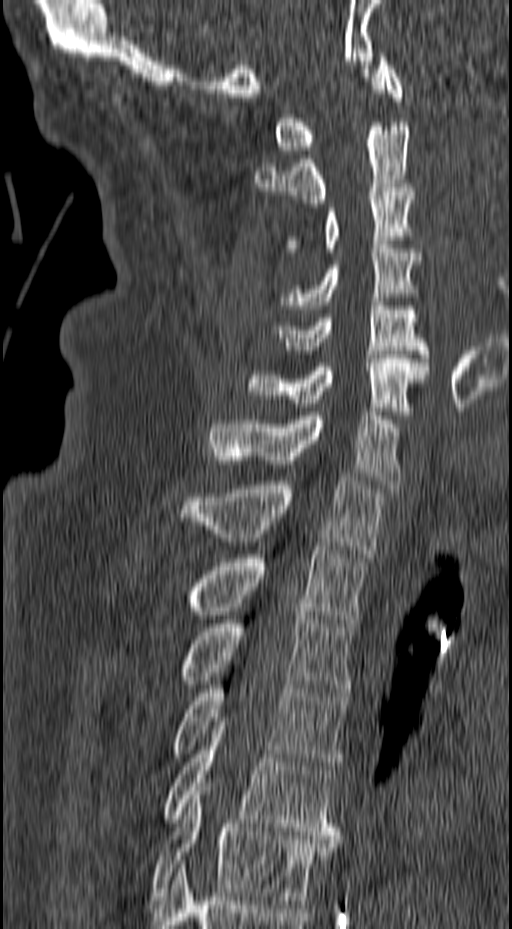 Spine CT; sagittal view; bone window
<vertebrae><v name="C1" x1="275" y1="53" x2="403" y2="154"/><v name="C2" x1="254" y1="122" x2="410" y2="203"/><v name="C3" x1="283" y1="188" x2="422" y2="252"/><v name="C4" x1="278" y1="241" x2="421" y2="309"/><v name="C5" x1="270" y1="302" x2="429" y2="358"/><v name="C6" x1="245" y1="355" x2="429" y2="419"/><v name="C7" x1="207" y1="412" x2="401" y2="488"/><v name="T1" x1="182" y1="477" x2="385" y2="557"/><v name="T2" x1="187" y1="546" x2="365" y2="627"/><v name="T3" x1="180" y1="607" x2="352" y2="696"/><v name="T4" x1="173" y1="677" x2="349" y2="769"/><v name="T5" x1="160" y1="726" x2="340" y2="839"/><v name="T6" x1="150" y1="787" x2="339" y2="904"/></vertebrae>